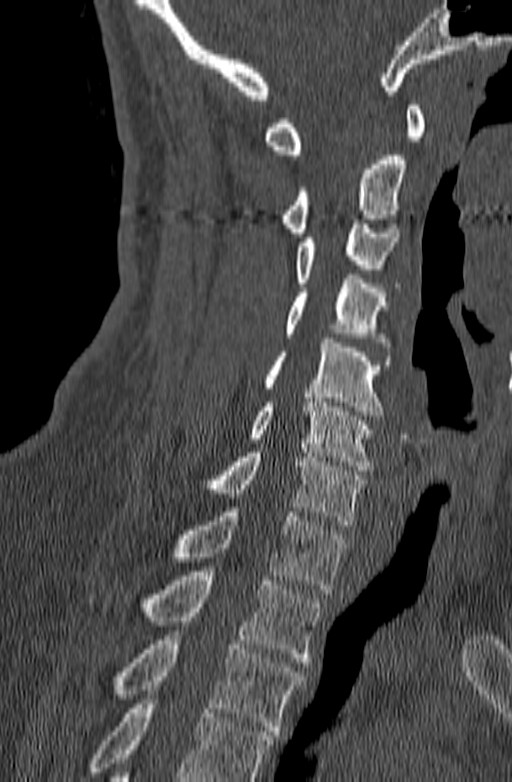

Spine CT · sagittal view. Bounding boxes as [x1, y1, x2, y2] in pixel coordinates. Where the bottom of the scan cuts through a vertebra, that vertebra gets no label or box. Vertebrae labeled: T3 at [115, 631, 305, 735], T2 at [87, 571, 322, 662], T1 at [173, 507, 348, 593], C7 at [202, 448, 362, 525], C6 at [246, 398, 375, 470], C5 at [264, 338, 391, 420], C4 at [284, 279, 391, 346], C3 at [296, 219, 399, 287], C2 at [279, 155, 406, 237], C1 at [263, 101, 424, 159].